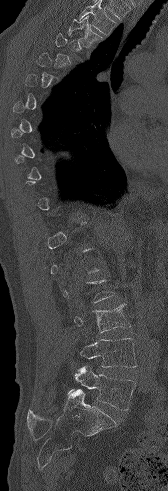

Spine computed tomography; sagittal view
Boxes: x1:y1:x2:y2 in pixels. Each vertebra is boxed only on the slices from the first to the last where its cross-section reaches a third of its largest, so a slice outside that range leaves it unboxed. A vertebra cut off by the top edge of the scan is not labeled and has no box. The labeled vertebrae in this slice are: T3 at 68:16:103:47, L3 at 74:303:131:333, L4 at 80:338:136:367, L5 at 68:366:136:410.